Computed tomography of the spine · sagittal view · W/L 1800/400 HU
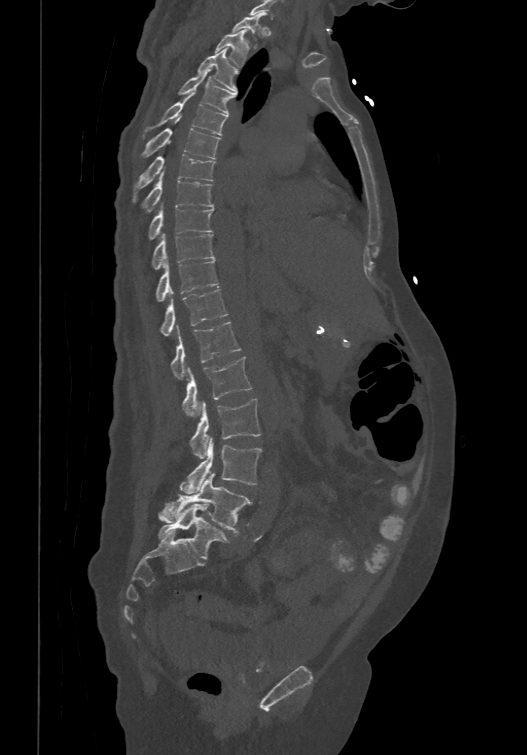
Box edges are left/top/right/bottom in pixels.
Labels in this scan begin with T1 at the top and end with L6 at the bottom.
These labels give the spine a sixth lumbar vertebra, L6, below L5.
Vertebra bounding boxes:
- L6: left=157, top=504, right=229, bottom=558
- L5: left=158, top=474, right=251, bottom=531
- L4: left=180, top=436, right=261, bottom=493
- L3: left=190, top=398, right=260, bottom=458
- L2: left=182, top=356, right=251, bottom=418
- L1: left=171, top=321, right=241, bottom=380
- T12: left=160, top=288, right=227, bottom=335
- T11: left=155, top=257, right=218, bottom=300
- T10: left=152, top=232, right=215, bottom=267
- T9: left=149, top=202, right=213, bottom=239
- T8: left=143, top=170, right=213, bottom=210
- T7: left=132, top=153, right=215, bottom=200
- T6: left=142, top=127, right=220, bottom=157
- T5: left=142, top=92, right=227, bottom=136
- T4: left=178, top=69, right=236, bottom=114
- T3: left=196, top=47, right=238, bottom=91
- T2: left=214, top=29, right=248, bottom=66
- T1: left=232, top=12, right=266, bottom=48